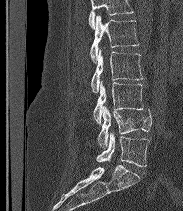 CT. sagittal view. image 183 mm wide. bone-window reconstruction
Each box given as x1,y1,x2,y2.
A vertebra cut off by the top edge of the scan is not labeled and has no box.
The labels name a sixth lumbar vertebra for this spine: L6, after L5.
| vertebra | x1 | y1 | x2 | y2 |
|---|---|---|---|---|
| L2 | 90 | 15 | 139 | 62 |
| L3 | 91 | 48 | 143 | 92 |
| L4 | 93 | 81 | 143 | 124 |
| L5 | 97 | 106 | 152 | 147 |
| L6 | 96 | 132 | 149 | 166 |